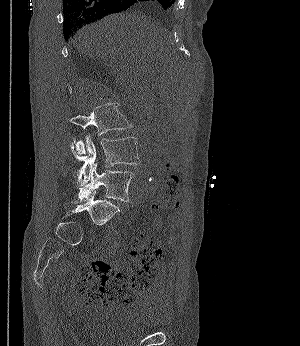

Computed tomography of the spine. sagittal view. the image spans 300 mm across. bone-window reconstruction

Boxes are (x1, y1, x2, y2) in pixels. 3 vertebrae labeled — L3 at (70, 103, 130, 154); L4 at (70, 135, 140, 185); L5 at (72, 163, 134, 202).